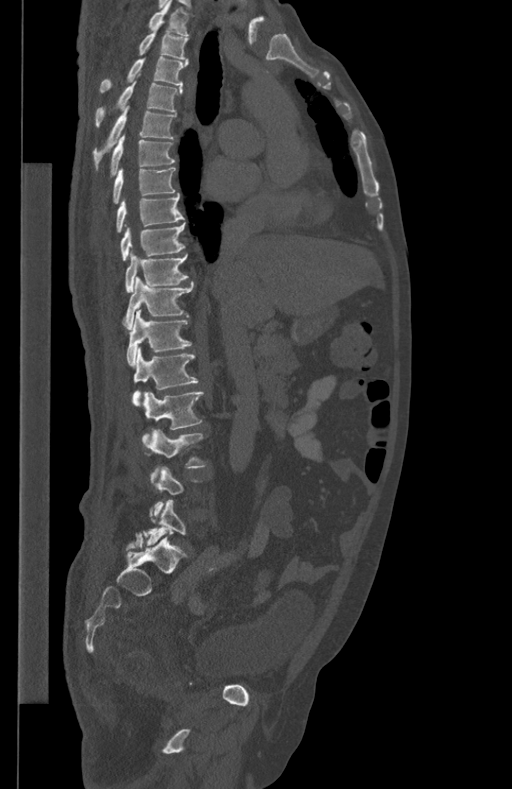 CT · sagittal view · bone window

Bounding boxes as [x1, y1, x2, y2] in pixel coordinates. A vertebra is boxed only from the first to the last slice where its cross-section is at least a third of its largest; slices outside that range leave it without a box. 16 vertebrae labeled — L5 at [144, 500, 185, 545]; L3 at [150, 429, 205, 482]; L2 at [143, 392, 203, 446]; L1 at [132, 347, 198, 406]; T12 at [126, 310, 191, 365]; T11 at [124, 277, 194, 329]; T10 at [125, 252, 188, 292]; T9 at [120, 223, 184, 260]; T8 at [116, 193, 184, 233]; T7 at [113, 167, 175, 203]; T6 at [110, 134, 175, 175]; T5 at [93, 106, 177, 166]; T4 at [95, 81, 182, 127]; T3 at [99, 56, 188, 91]; T2 at [138, 21, 188, 58]; T1 at [149, 0, 191, 35].